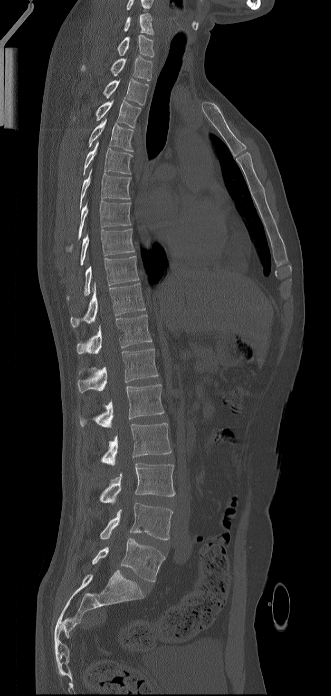 CT. sagittal view. 331 mm wide. Boxes are (x1, y1, x2, y2) in pixels.
The highest labeled vertebra in this scan is C6; the lowest is L5.
Vertebra bounding boxes:
- L5: (92, 538, 165, 582)
- L4: (100, 503, 172, 540)
- L3: (100, 463, 175, 504)
- L2: (101, 423, 171, 465)
- L1: (79, 384, 164, 427)
- T12: (77, 348, 158, 392)
- T11: (77, 315, 151, 354)
- T10: (70, 283, 145, 327)
- T9: (67, 256, 138, 300)
- T8: (80, 229, 134, 265)
- T7: (78, 199, 131, 239)
- T6: (80, 170, 130, 209)
- T5: (83, 141, 132, 175)
- T4: (89, 118, 133, 151)
- T3: (95, 99, 141, 128)
- T2: (103, 78, 148, 105)
- T1: (81, 56, 152, 80)
- C7: (117, 35, 154, 57)
- C6: (123, 14, 154, 34)